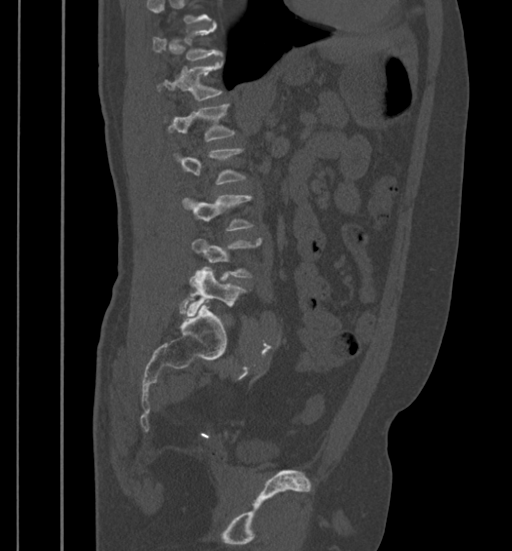 Computed tomography of the spine. sagittal view. image width 399 mm. W/L 1800/400 HU
Each box given as x1,y1,x2,y2. Each vertebra is boxed only on the slices from the first to the last where its cross-section reaches a third of its largest, so a slice outside that range leaves it unboxed. Vertebrae labeled: T12 at x1=158, y1=62, x2=222, y2=100, L1 at x1=168, y1=104, x2=235, y2=141, L3 at x1=182, y1=195, x2=253, y2=231, L4 at x1=191, y1=238, x2=262, y2=277, L5 at x1=186, y1=267, x2=247, y2=314.